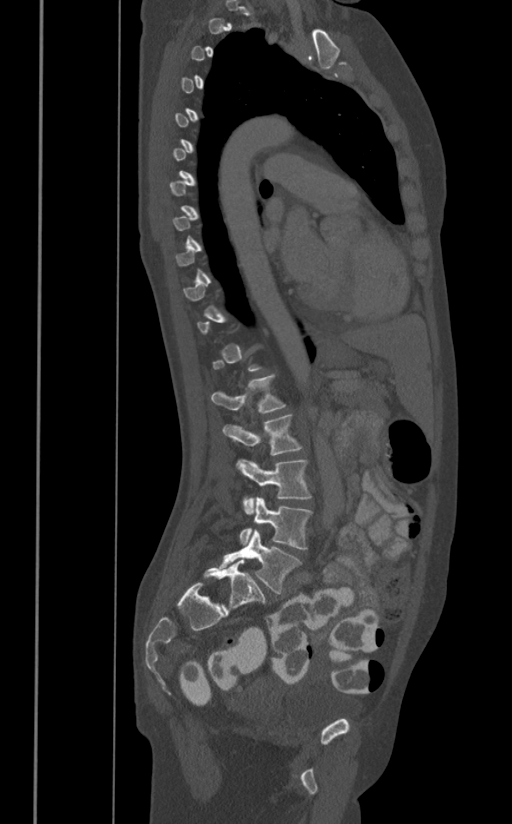 Spine computed tomography — sagittal view. Boxes are (x1, y1, x2, y2) in pixels.
Not every vertebra on this slice has a box: a vertebra is boxed only from the first to the last slice where its cross-section is at least a third of its largest, and this slice is outside that range for at least one of them.
L1: (211, 375, 286, 413)
L2: (222, 414, 303, 455)
L3: (237, 458, 312, 514)
L4: (239, 497, 312, 549)
L5: (219, 529, 301, 593)